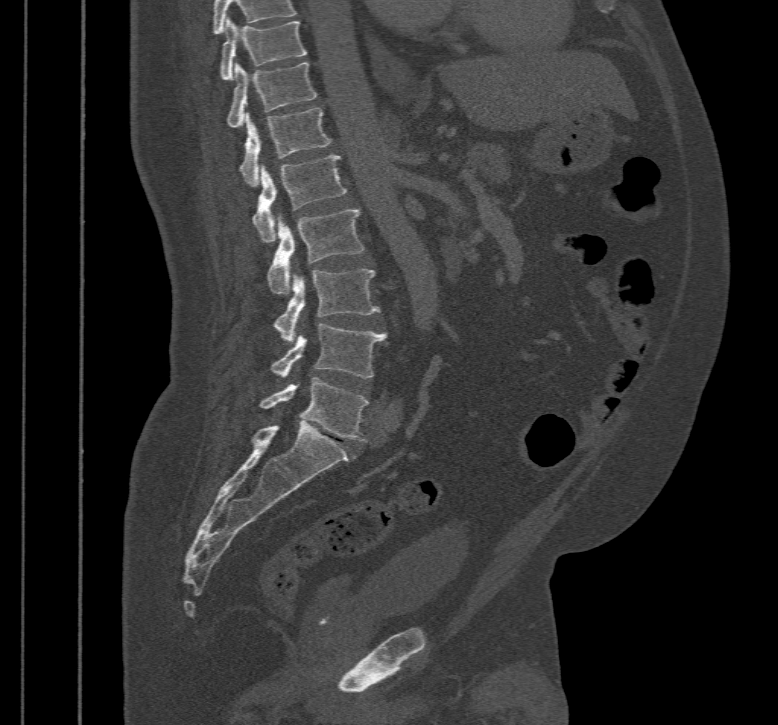
CT — sagittal view

Coordinates as <box>x1,y1,x2,y2</box>.
Labels in this scan begin with T10 at the top and end with L5 at the bottom.
Vertebra bounding boxes:
- L5: <box>260,377,368,441</box>
- L4: <box>272,324,388,378</box>
- L3: <box>274,268,379,343</box>
- L2: <box>266,209,364,294</box>
- L1: <box>252,155,346,243</box>
- T12: <box>240,107,330,186</box>
- T11: <box>227,62,317,128</box>
- T10: <box>220,17,306,80</box>